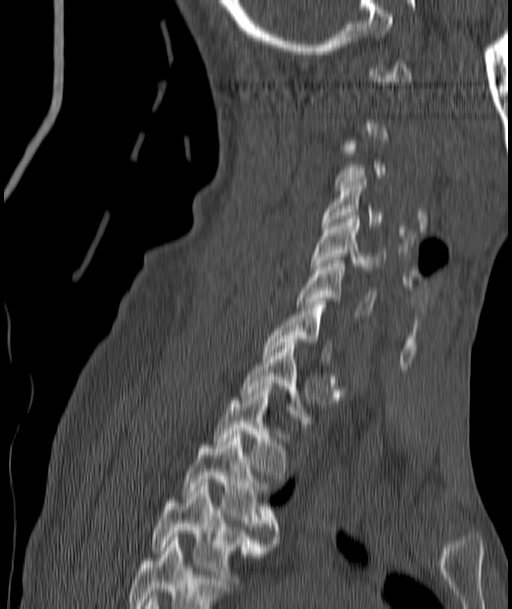 CT; 187 mm image width; sagittal view; 512x609 px
Boxes below are [x1, y1, x2, y2] in pixels.
A vertebra is boxed only from the first to the last slice where its cross-section is at least a third of its largest; slices outside that range leave it without a box.
{"vertebrae":{"C4":[321,178,383,228],"C5":[313,216,383,269],"C6":[297,260,376,314],"C7":[264,301,331,362],"T1":[242,339,309,427],"T2":[214,387,287,478],"T3":[184,431,279,543],"T4":[151,483,268,588]}}